CT, spine — sagittal view — 232x233 px
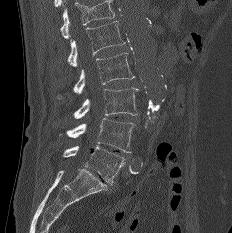
Boxes below are [x1, y1, x2, y2] in pixels.
Vertebrae that run past the top of the scan are left unlabeled.
{"vertebrae":{"L1":[68,21,125,66],"L2":[57,52,134,99],"L3":[73,87,138,118],"L4":[57,118,135,153],"L5":[63,145,125,185]}}